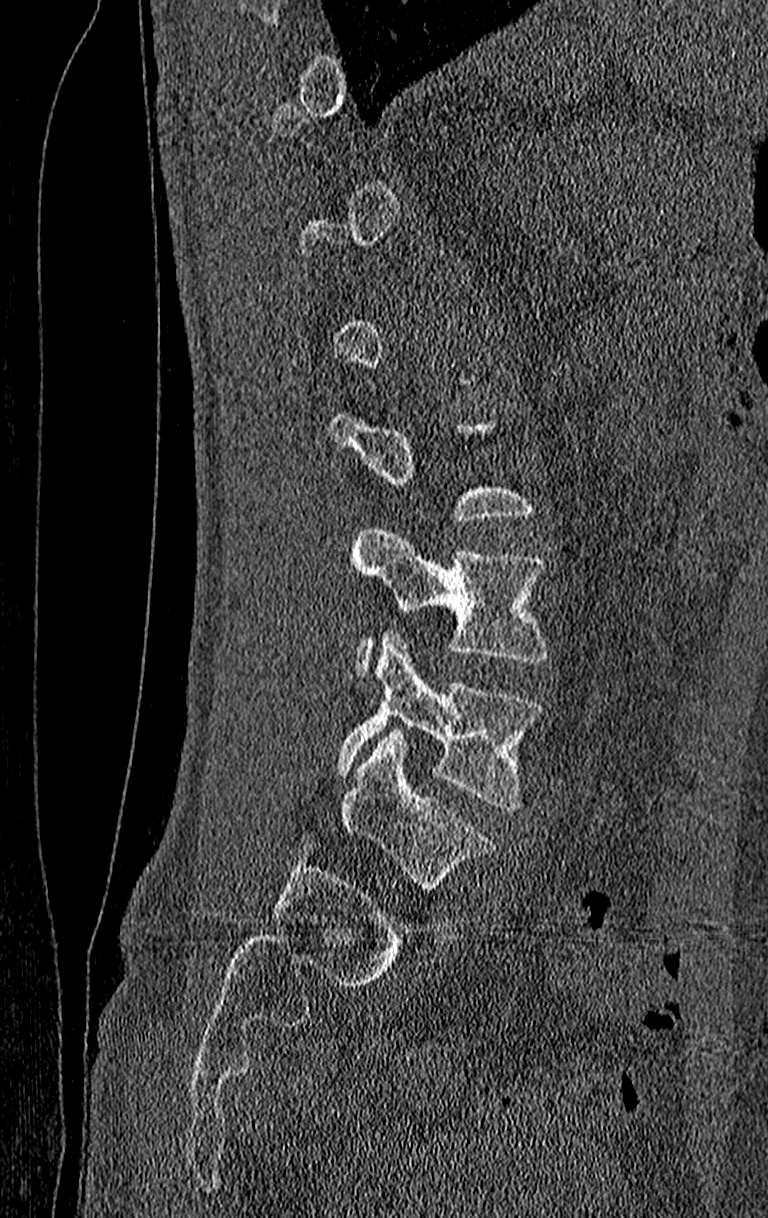

CT — sagittal view
Each vertebra maps to its box as [x1, y1, x2, y2], the pixel coordinates of its top-left and bottom-right corners.
Each vertebra is boxed only on the slices from the first to the last where its cross-section reaches a third of its largest, so a slice outside that range leaves it unboxed.
The highest labeled vertebra in this scan is T11; the lowest is L4.
{"vertebrae":{"L3":[350,523,550,672],"L4":[335,630,543,809]}}